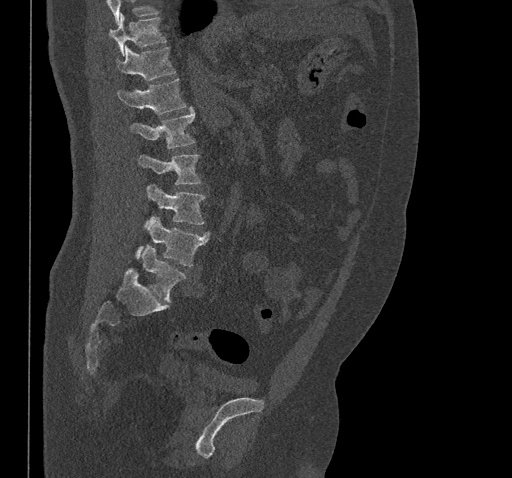

Spine CT · sagittal view · W/L 1800/400 HU
Box edges are left/top/right/bottom in pixels. Vertebrae that run past the top of the scan are left unlabeled. Vertebrae labeled: T10 at left=109, top=16, right=165, bottom=55, T11 at left=117, top=47, right=174, bottom=80, T12 at left=118, top=79, right=185, bottom=114, L1 at left=130, top=108, right=194, bottom=148, L2 at left=138, top=155, right=200, bottom=184, L3 at left=146, top=185, right=204, bottom=224, L4 at left=136, top=216, right=209, bottom=266, L5 at left=141, top=245, right=185, bottom=301.